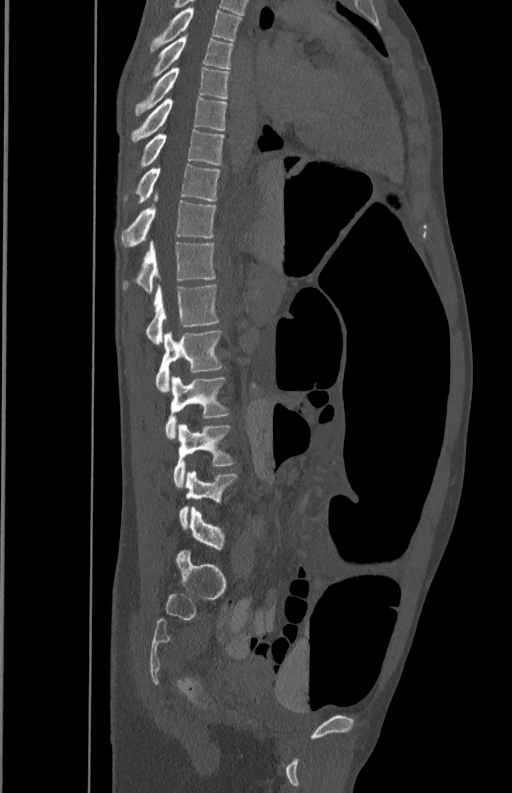
CT. image width 350 mm. sagittal view. bone-window reconstruction. 512x793 px
Bounding boxes as [x1, y1, x2, y2] in pixel coordinates.
Vertebra bounding boxes:
- L5: [178, 471, 237, 527]
- L4: [174, 423, 234, 487]
- L3: [165, 375, 228, 439]
- L2: [155, 330, 223, 393]
- L1: [146, 284, 218, 344]
- T12: [123, 240, 215, 293]
- T11: [121, 191, 215, 247]
- T10: [124, 163, 220, 203]
- T9: [141, 130, 224, 168]
- T8: [130, 96, 227, 143]
- T7: [134, 67, 228, 116]
- T6: [142, 33, 233, 83]
- T5: [149, 7, 242, 53]